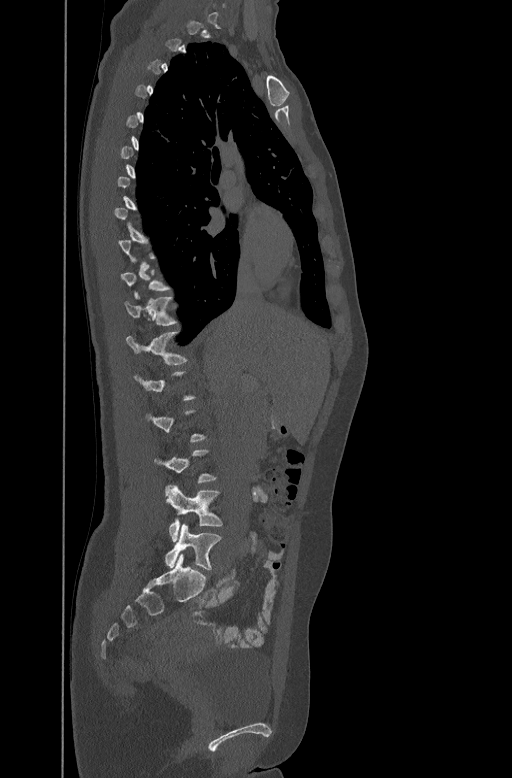 CT, spine. sagittal reformat
Each box given as x1,y1,x2,y2.
A vertebra is boxed only from the first to the last slice where its cross-section is at least a third of its largest; slices outside that range leave it without a box.
Vertebra bounding boxes:
- L5: x1=165, y1=523, x2=221, y2=569
- L4: x1=165, y1=486, x2=222, y2=540
- T12: x1=126, y1=331, x2=187, y2=363
- T11: x1=125, y1=295, x2=175, y2=324